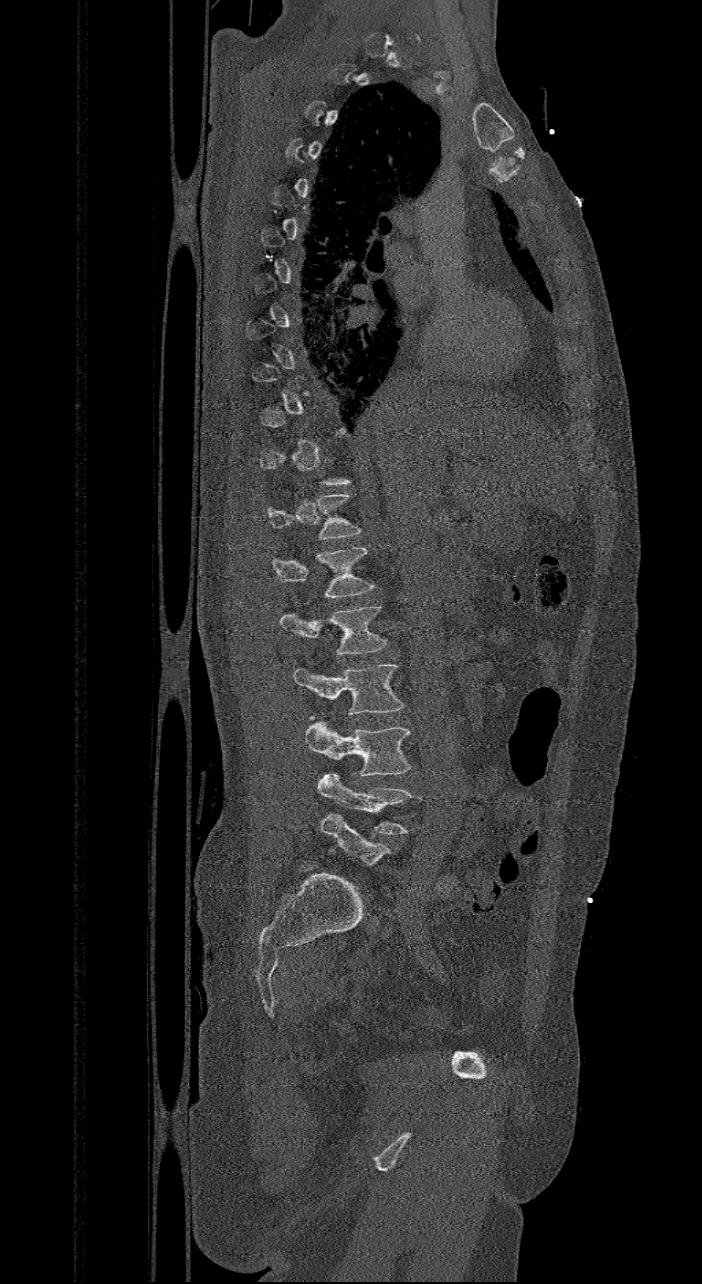 CT spine. 421 mm image width. sagittal view
Box values are [left, top, right, bottom] in pixels.
Not every vertebra on this slice has a box: a vertebra is boxed only from the first to the last slice where its cross-section is at least a third of its largest, and this slice is outside that range for at least one of them.
In these labels the spine has an L6, a sixth lumbar vertebra below L5.
{"vertebrae":{"T12":[266,493,362,538],"L1":[271,547,376,596],"L2":[280,605,387,655],"L3":[293,664,403,715],"L4":[304,716,412,775],"L5":[318,773,421,833],"L6":[321,814,391,865]}}